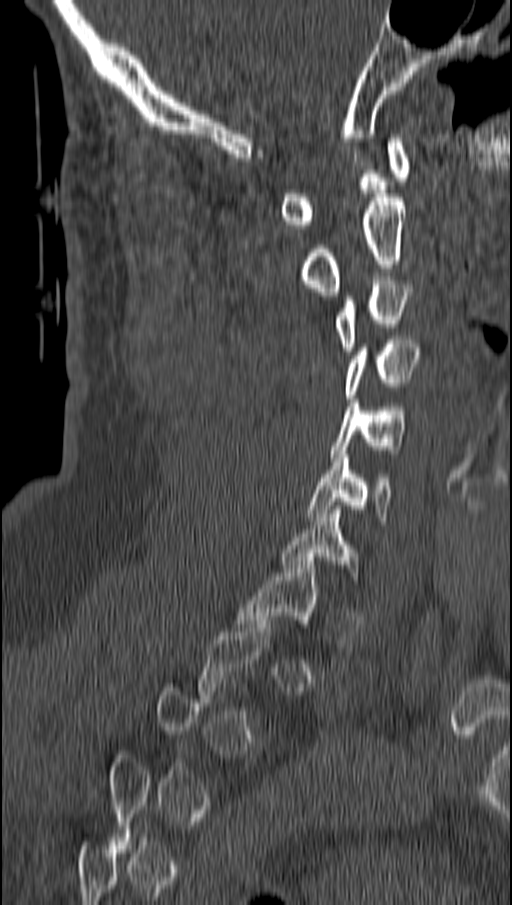 Computed tomography of the spine — sagittal view — W/L 1800/400 HU. Boxes are (x1, y1, x2, y2) in pixels. A vertebra is boxed only from the first to the last slice where its cross-section is at least a third of its largest; slices outside that range leave it without a box. Vertebrae labeled: C1 at (282, 138, 408, 228), C2 at (301, 198, 405, 295), C3 at (336, 280, 411, 355), C4 at (346, 336, 417, 398), C5 at (330, 399, 405, 461), C6 at (308, 454, 392, 524), T1 at (238, 561, 316, 627).